Computed tomography of the spine. sagittal view. 512x757 px. the image is 153 mm wide. scan covers 11 annotated vertebrae
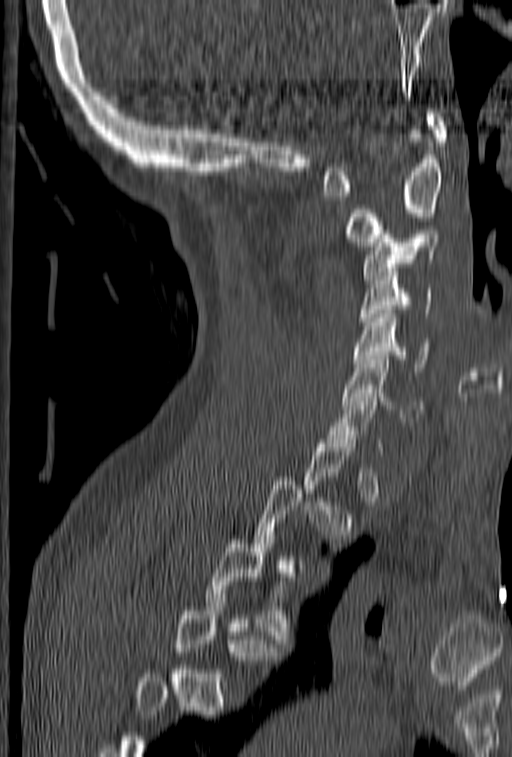

Coordinates as <box>x1,y1,x2,y2</box>.
A vertebra gets a box only on the slices from the first to the last where its cross-section is at least a third of its largest; on a slice outside that range it gets none.
T3: <box>204,540,299,643</box>
C7: <box>324,389,382,451</box>
C6: <box>343,356,422,421</box>
C5: <box>353,310,429,371</box>
C4: <box>359,264,432,329</box>
C3: <box>362,230,439,283</box>
C2: <box>346,130,442,246</box>
C1: <box>322,109,447,196</box>